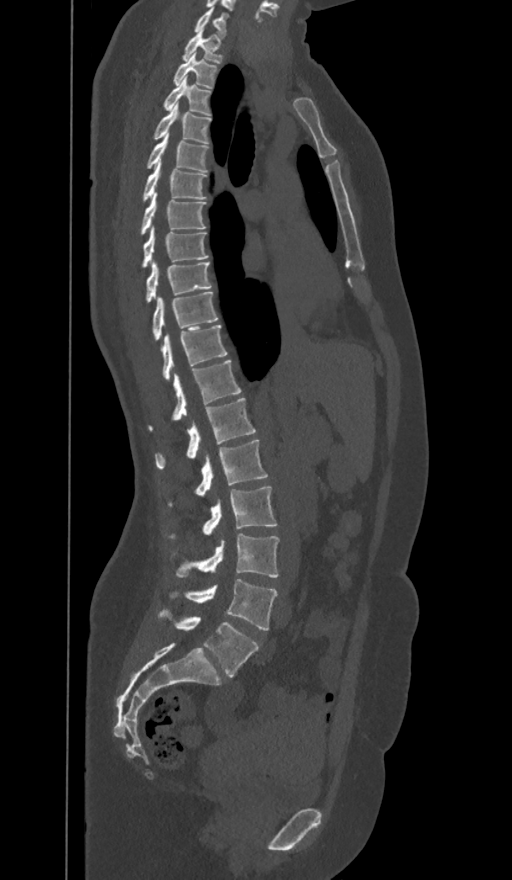

CT. sagittal view. 512x880 px
Bounding boxes as [x1, y1, x2, y2] in pixel coordinates.
The labels name a sixth lumbar vertebra for this spine: L6, after L5.
C7: [194, 6, 227, 36]
T1: [182, 30, 222, 63]
T2: [174, 53, 216, 88]
T3: [164, 78, 210, 114]
T4: [155, 103, 210, 142]
T5: [147, 132, 207, 171]
T6: [143, 158, 206, 200]
T7: [141, 192, 206, 234]
T8: [142, 227, 208, 266]
T9: [146, 261, 211, 301]
T10: [153, 291, 218, 339]
T11: [161, 325, 226, 380]
T12: [149, 360, 240, 430]
L1: [156, 398, 255, 468]
L2: [196, 439, 267, 497]
L3: [202, 485, 277, 535]
L4: [176, 533, 278, 577]
L5: [171, 579, 277, 630]
L6: [160, 610, 258, 677]